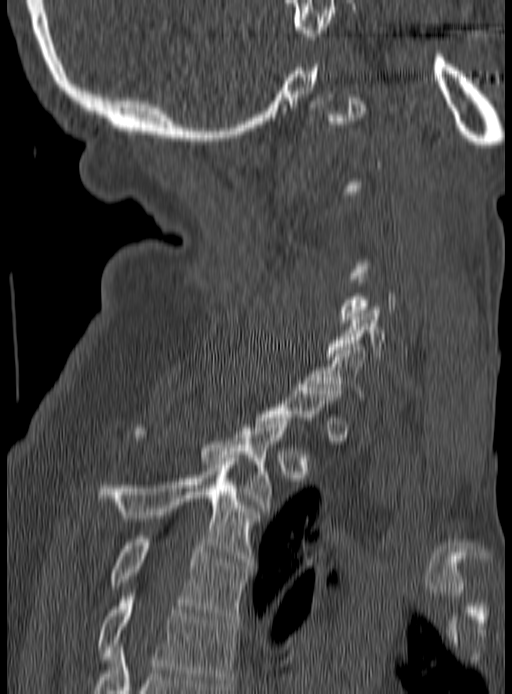

Spine computed tomography — sagittal view — bone window
Boxes: x1:y1:x2:y2 in pixels. Not every vertebra on this slice has a box: a vertebra is boxed only from the first to the last slice where its cross-section is at least a third of its largest, and this slice is outside that range for at least one of them. 6 vertebrae labeled — C6 at 327:307:385:359; C7 at 306:344:366:400; T2 at 133:418:290:511; T3 at 98:461:259:565; T4 at 111:536:248:619; T5 at 98:593:237:686.